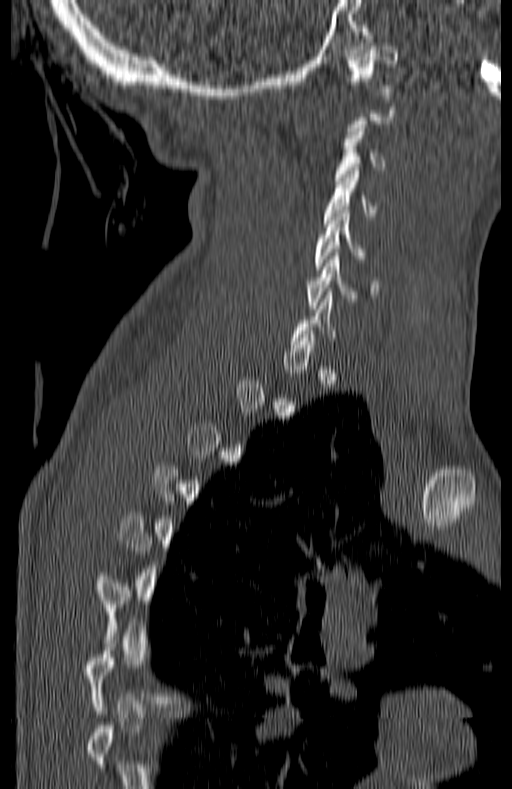

Spine CT; sagittal view; bone window; 512x789 px

A vertebra gets a box only on the slices from the first to the last where its cross-section is at least a third of its largest; on a slice outside that range it gets none.
<vertebrae><v name="C1" x1="346" y1="43" x2="398" y2="91"/><v name="C3" x1="334" y1="128" x2="387" y2="184"/><v name="C4" x1="324" y1="171" x2="378" y2="219"/><v name="C5" x1="314" y1="210" x2="367" y2="269"/><v name="C6" x1="308" y1="252" x2="375" y2="308"/></vertebrae>